CT; sagittal view; bone-window reconstruction; image width 317 mm; scan covers 18 annotated vertebrae
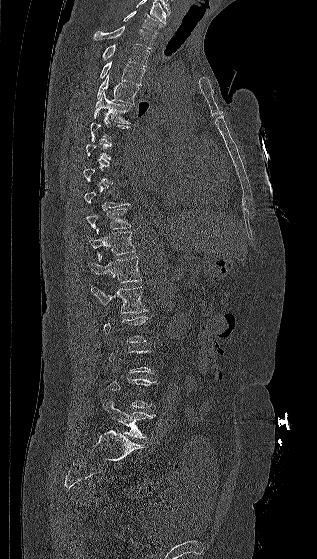

A vertebra gets a box only on the slices from the first to the last where its cross-section is at least a third of its largest; on a slice outside that range it gets none.
This scan's labels start at C7 at the top and end at L5 at the bottom.
<vertebrae><v name="C7" x1="123" y1="10" x2="163" y2="33"/><v name="T1" x1="94" y1="26" x2="155" y2="48"/><v name="T2" x1="102" y1="44" x2="149" y2="66"/><v name="T3" x1="99" y1="61" x2="145" y2="85"/><v name="T4" x1="97" y1="74" x2="139" y2="103"/><v name="T5" x1="93" y1="92" x2="131" y2="123"/><v name="T6" x1="90" y1="113" x2="129" y2="142"/><v name="T10" x1="86" y1="208" x2="131" y2="234"/><v name="T11" x1="89" y1="231" x2="136" y2="261"/><v name="T12" x1="89" y1="254" x2="141" y2="283"/><v name="L1" x1="90" y1="286" x2="148" y2="313"/><v name="L5" x1="102" y1="398" x2="155" y2="438"/></vertebrae>